CT spine. sagittal reformat. Bone window (WL 400, WW 1800). 500 mm wide
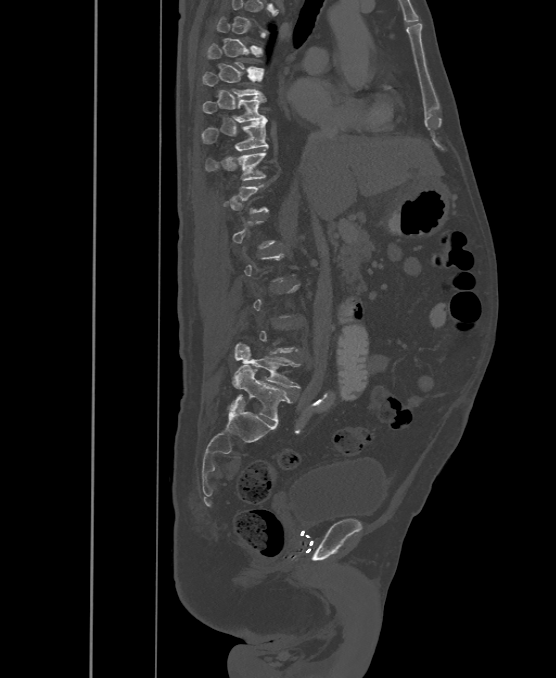

Each vertebra maps to its box as [x1, y1, x2, y2], the pixel coordinates of its top-left and bottom-right corners.
Not every vertebra on this slice has a box: a vertebra is boxed only from the first to the last slice where its cross-section is at least a third of its largest, and this slice is outside that range for at least one of them.
The labels name a sixth lumbar vertebra for this spine: L6, after L5.
{"vertebrae":{"L6":[231,366,293,423],"L5":[234,343,300,388],"T11":[205,150,266,180],"T10":[201,119,268,150],"T9":[202,96,266,123],"T8":[202,72,265,97],"T7":[207,44,264,72]}}